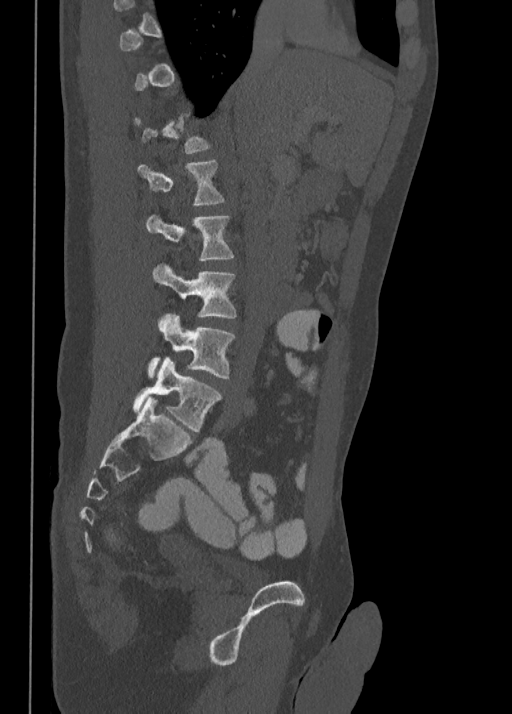
Spine computed tomography · sagittal reformat · the image spans 350 mm across · W/L 1800/400 HU

Each box given as x1,y1,x2,y2. Not every vertebra on this slice has a box: a vertebra is boxed only from the first to the last slice where its cross-section is at least a third of its largest, and this slice is outside that range for at least one of them. The labeled vertebrae in this slice are: L1 at x1=137, y1=159, x2=224, y2=204, L2 at x1=146, y1=215, x2=234, y2=261, L3 at x1=152, y1=263, x2=236, y2=326, L4 at x1=148, y1=313, x2=234, y2=378, L5 at x1=133, y1=357, x2=221, y2=432.